CT, spine — sagittal plane, index 252 — Bone window (WL 400, WW 1800) — 512x793 px — scan covers 13 annotated vertebrae — 350 mm wide
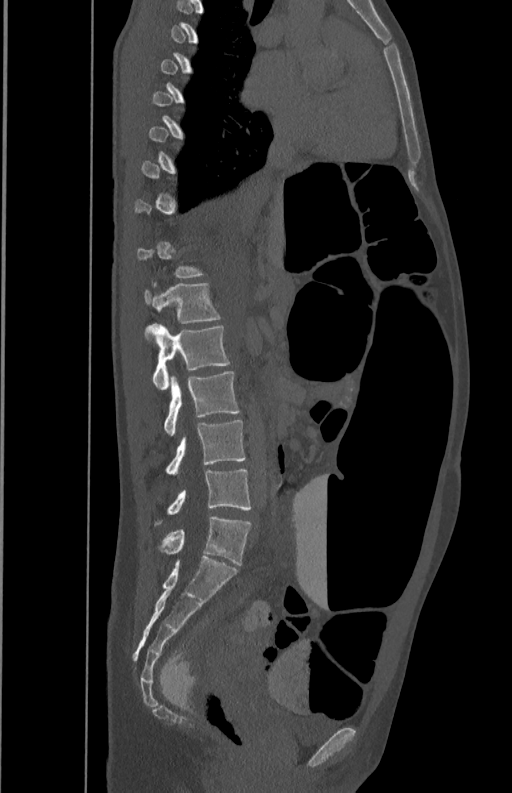 Boxes are (x1, y1, x2, y2) in pixels.
A vertebra is boxed only from the first to the last slice where its cross-section is at least a third of its largest; slices outside that range leave it without a box.
Vertebra bounding boxes:
- L1: (145, 283, 221, 340)
- L2: (147, 324, 230, 389)
- L3: (164, 371, 240, 435)
- L4: (165, 420, 246, 474)
- L5: (155, 469, 250, 524)